CT, spine. sagittal view. scan covers 16 annotated vertebrae
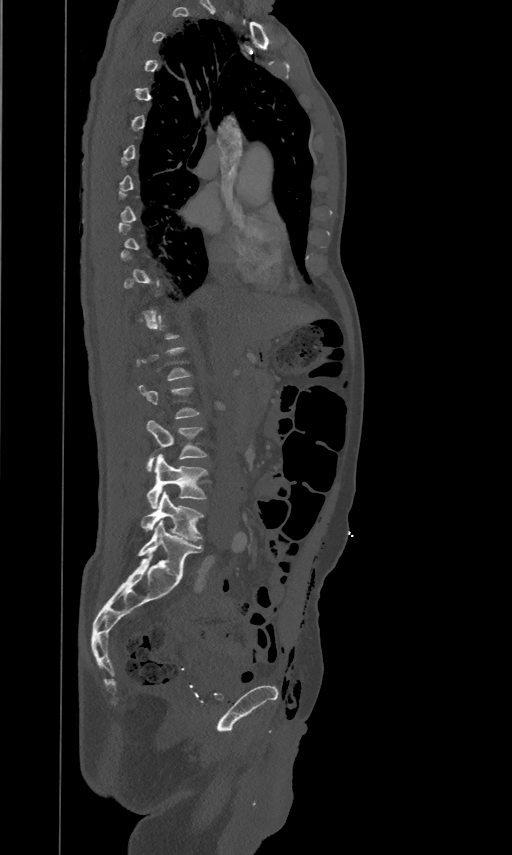 Boxes: x1 y1 x2 y2 (pixel coords, space-separated).
Not every vertebra on this slice has a box: a vertebra is boxed only from the first to the last slice where its cross-section is at least a third of its largest, and this slice is outside that range for at least one of them.
L5: 141 492 203 541
L4: 146 454 207 509
L3: 146 419 206 472